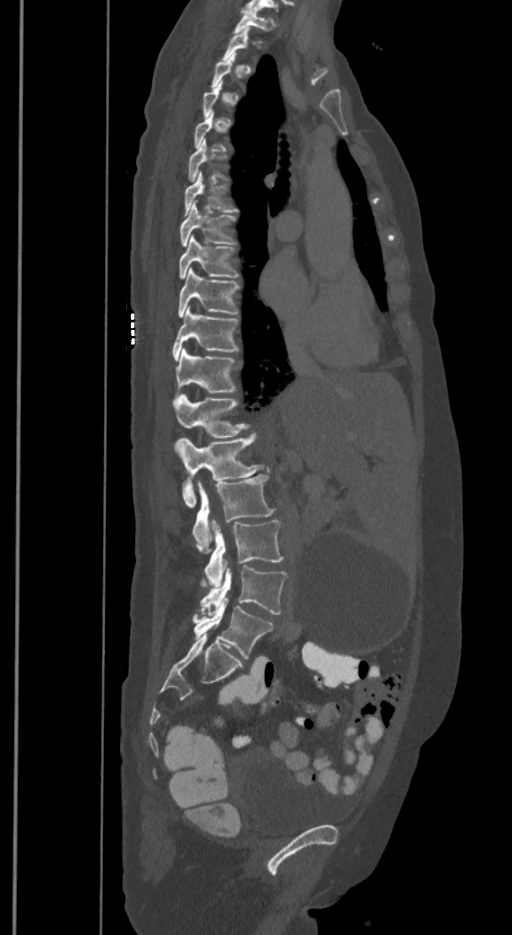 Spine CT. sagittal view. 512x935 px. 350 mm image width. Boxes are (x1, y1, x2, y2) in pixels.
Not every vertebra on this slice has a box: a vertebra is boxed only from the first to the last slice where its cross-section is at least a third of its largest, and this slice is outside that range for at least one of them.
The labels name a sixth lumbar vertebra for this spine: L6, after L5.
L6: (193, 595, 272, 657)
L5: (200, 563, 287, 615)
L4: (205, 520, 283, 586)
L3: (193, 474, 274, 553)
L2: (176, 432, 264, 507)
L1: (174, 395, 247, 449)
T12: (175, 349, 234, 401)
T11: (172, 305, 237, 361)
T10: (178, 267, 237, 318)
T9: (180, 236, 237, 278)
T8: (180, 200, 234, 247)
T7: (184, 172, 236, 214)
T1: (233, 9, 274, 33)